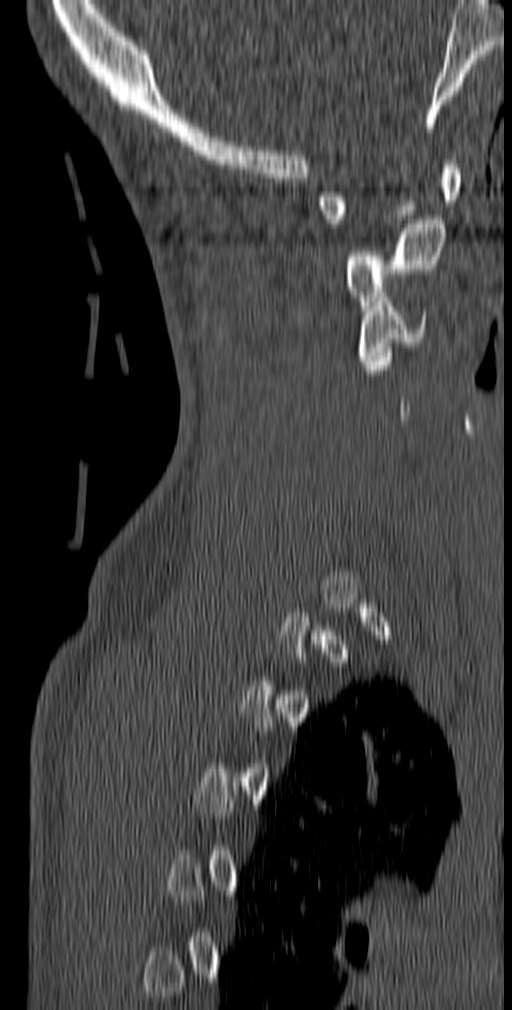
Spine computed tomography · sagittal reformat · Bone window (WL 400, WW 1800) · 512x1010 px
Bounding boxes as [x1, y1, x2, y2] in pixel coordinates.
Not every vertebra on this slice has a box: a vertebra is boxed only from the first to the last slice where its cross-section is at least a third of its largest, and this slice is outside that range for at least one of them.
Vertebra bounding boxes:
- C1: [318, 160, 461, 228]
- C2: [345, 219, 445, 310]
- C3: [358, 293, 428, 369]